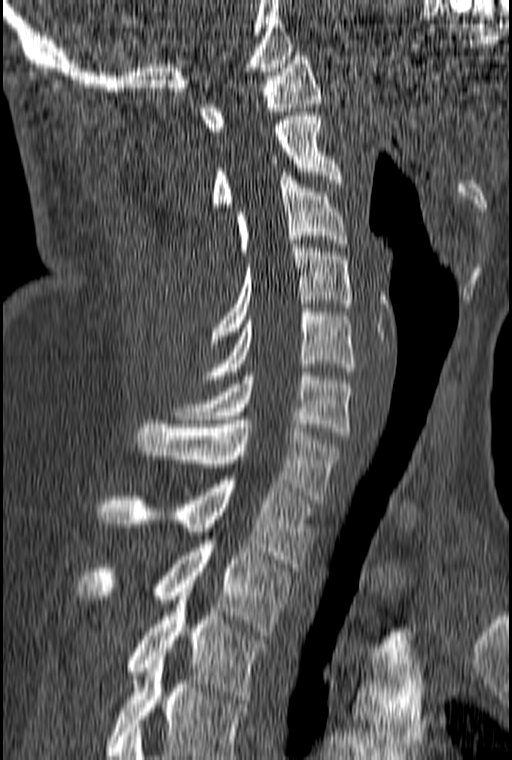
CT spine. image 160 mm wide. sagittal view. bone-window reconstruction

In the table, x1 and y1 are a box's top-left corner and x2 and y2 its bottom-right corner, in pixels.
This scan's labels start at C1 at the top and end at T3 at the bottom.
| vertebra | x1 | y1 | x2 | y2 |
|---|---|---|---|---|
| C1 | 199 | 52 | 322 | 135 |
| C2 | 211 | 112 | 342 | 207 |
| C3 | 236 | 172 | 347 | 255 |
| C4 | 212 | 244 | 352 | 339 |
| C5 | 203 | 308 | 355 | 383 |
| C6 | 174 | 372 | 352 | 435 |
| C7 | 135 | 420 | 343 | 503 |
| T1 | 97 | 476 | 313 | 567 |
| T2 | 78 | 536 | 291 | 635 |
| T3 | 123 | 584 | 266 | 703 |